Spine CT — sagittal view — 556x600 px — 10 vertebrae labeled in this scan — 500 mm wide
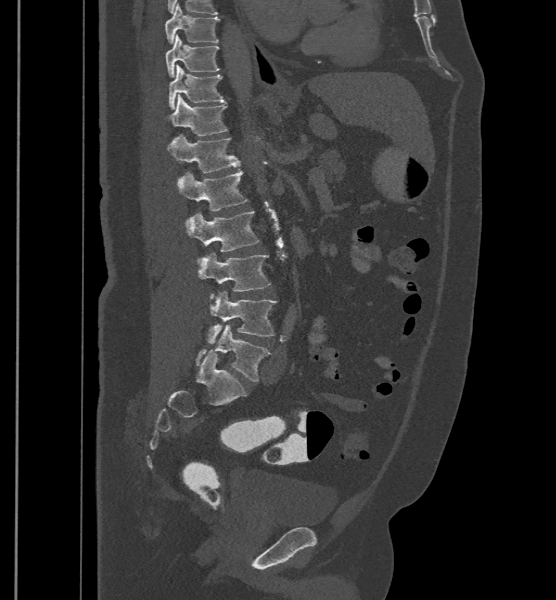 Box values are [left, top, right, bottom] in pixels.
In these labels the spine has an L6, a sixth lumbar vertebra below L5.
{"vertebrae":{"T9":[165,3,219,43],"T10":[166,34,219,77],"T11":[168,64,224,109],"T12":[168,94,228,136],"L1":[167,134,240,172],"L2":[178,171,247,210],"L3":[187,211,259,251],"L4":[197,252,270,298],"L5":[207,291,277,343],"L6":[195,324,270,381]}}